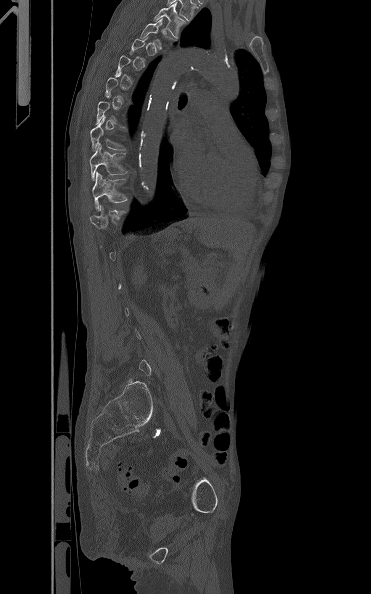 Spine computed tomography; sagittal reformat; W/L 1800/400 HU
Boxes: x1 y1 x2 y2 (pixel coords, space-separated). Each vertebra is boxed only on the slices from the first to the last where its cross-section reaches a third of its largest, so a slice outside that range leaves it unboxed. Vertebrae labeled: T11 at 92 171 127 210, T10 at 89 142 128 180, T9 at 90 115 128 151, T4 at 140 18 177 49, T3 at 152 3 185 37.